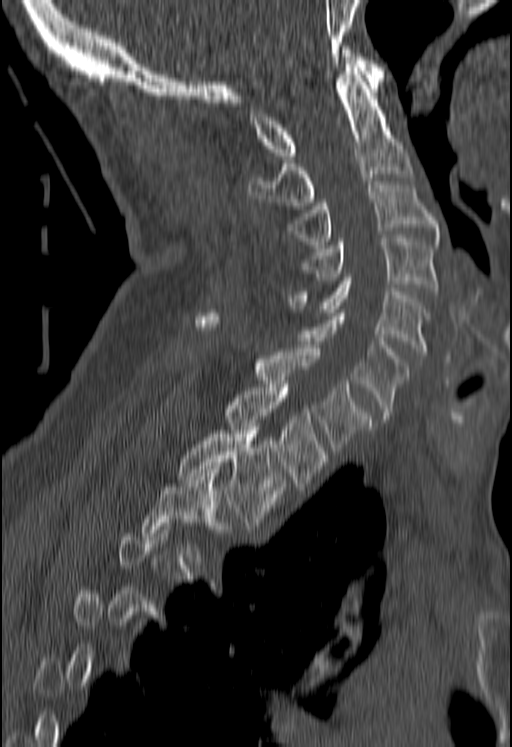 CT — sagittal view — W/L 1800/400 HU — 512x747 px. Boxes: x1:y1:x2:y2 in pixels. A vertebra is boxed only from the first to the last slice where its cross-section is at least a third of its largest; slices outside that range leave it without a box. The labeled vertebrae in this slice are: C1 at 250:46:384:159, C2 at 248:64:412:205, C3 at 288:181:438:244, C4 at 300:235:438:291, C5 at 289:277:427:355, C6 at 302:309:410:419, C7 at 194:313:370:454, T1 at 225:384:324:486, T2 at 178:427:284:525.